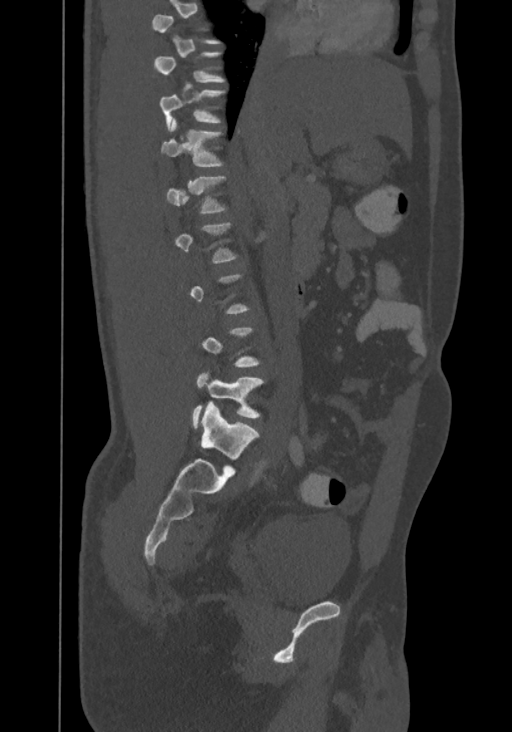
Spine CT — sagittal view — Bone window (WL 400, WW 1800)
Not every vertebra on this slice has a box: a vertebra is boxed only from the first to the last slice where its cross-section is at least a third of its largest, and this slice is outside that range for at least one of them.
The highest labeled vertebra in this scan is T8; the lowest is L4.
<vertebrae><v name="T9" x1="153" y1="51" x2="225" y2="82"/><v name="T10" x1="159" y1="90" x2="225" y2="130"/><v name="T11" x1="160" y1="118" x2="222" y2="166"/><v name="T12" x1="166" y1="176" x2="225" y2="214"/><v name="L4" x1="192" y1="372" x2="264" y2="428"/></vertebrae>